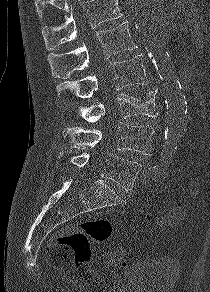

CT; 210 mm image width; sagittal view
Boxes are given in columns x1, y1, x2, y2, the pixel coordinates of their top-left and bottom-right corners.
Where the top of the scan cuts through a vertebra, that vertebra gets no label or box.
| vertebra | x1 | y1 | x2 | y2 |
|---|---|---|---|---|
| L5 | 58 | 152 | 141 | 190 |
| L4 | 62 | 122 | 154 | 155 |
| L3 | 78 | 88 | 158 | 122 |
| L2 | 56 | 54 | 148 | 98 |
| L1 | 48 | 21 | 137 | 78 |